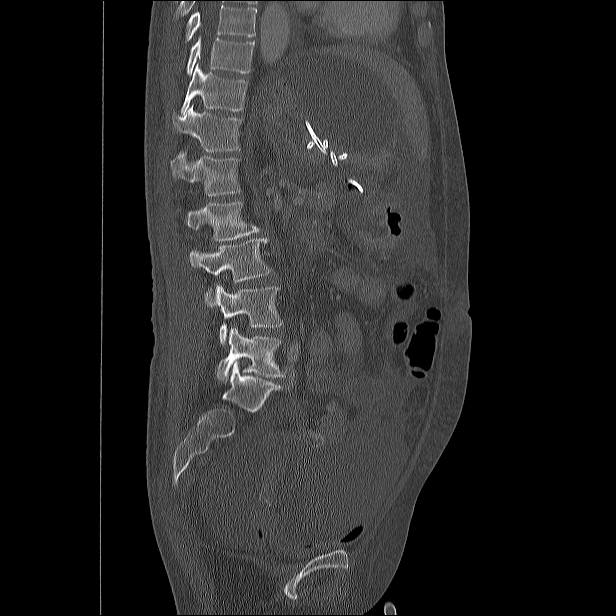
Computed tomography of the spine · sagittal view
Boxes below are [x1, y1, x2, y2] in pixels.
Vertebrae that run past the top of the scan are left unlabeled.
{"vertebrae":{"L5":[217,327,284,381],"L4":[215,285,281,344],"L3":[189,238,271,306],"L2":[187,201,260,240],"L1":[170,152,240,196],"T12":[172,105,242,151],"T11":[181,64,247,114],"T10":[186,36,255,75]}}